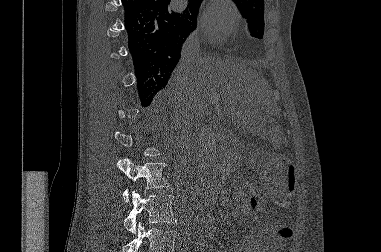 CT spine — sagittal view — 381 mm wide. Boxes: x1:y1:x2:y2 in pixels.
A vertebra gets a box only on the slices from the first to the last where its cross-section is at least a third of its largest; on a slice outside that range it gets none.
Vertebrae that run past the bottom of the scan are left unlabeled.
Vertebra bounding boxes:
- L2: 116:158:169:202
- L3: 124:190:176:233